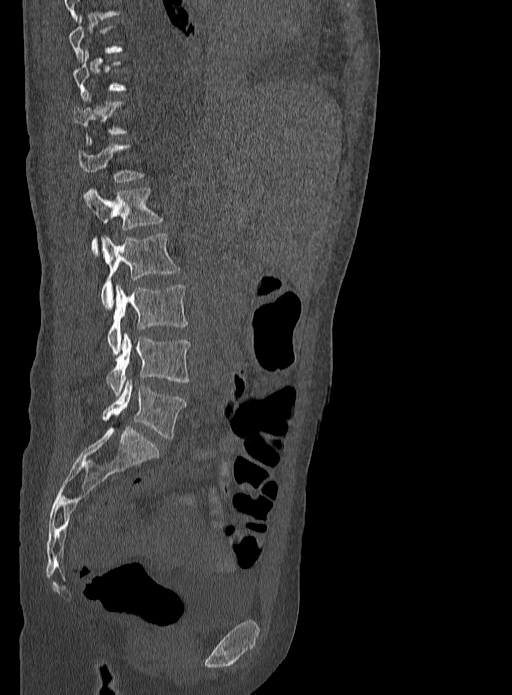

CT, spine · sagittal view · 512x695 px
Each box given as x1,y1,x2,y2.
Not every vertebra on this slice has a box: a vertebra is boxed only from the first to the last slice where its cross-section is at least a third of its largest, and this slice is outside that range for at least one of them.
T12: x1=77, y1=138, x2=145, y2=182
L1: x1=86, y1=188, x2=163, y2=253
L2: x1=101, y1=234, x2=180, y2=308
L3: x1=107, y1=284, x2=188, y2=353
L4: x1=106, y1=332, x2=191, y2=396
L5: x1=101, y1=380, x2=186, y2=439